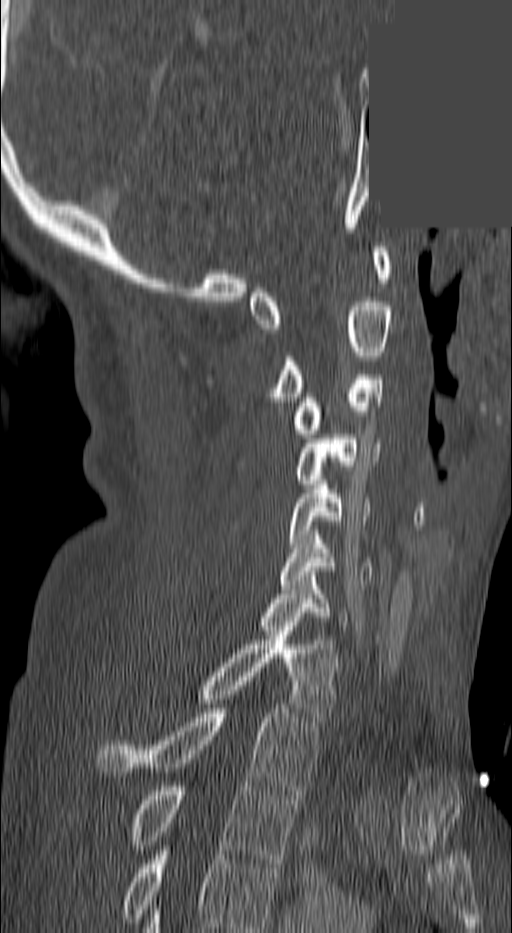
Spine computed tomography — sagittal view — part of the image is a flat gray fill, not anatomy

Boxes: x1 y1 x2 y2 (pixel coords, space-separated). This scan's labels start at C1 at the top and end at T3 at the bottom. 10 vertebrae labeled — T3 at 133 782 297 863; T2 at 96 709 319 794; T1 at 200 631 337 721; C7 at 257 576 348 630; C6 at 279 535 373 589; C5 at 287 480 370 548; C4 at 293 434 381 484; C3 at 294 375 384 438; C2 at 272 302 392 401; C1 at 249 247 392 328.